CT. sagittal view. the image is 210 mm wide
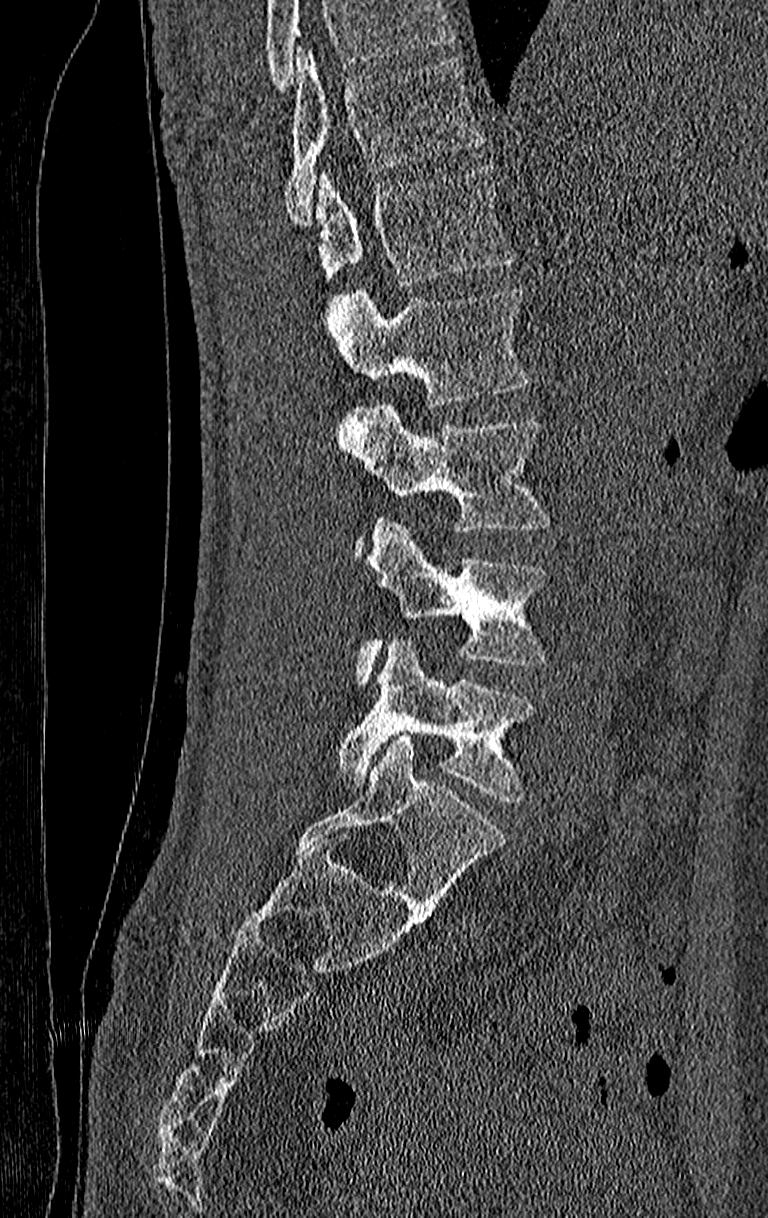

Boxes are (x1, y1, x2, y2) in pixels.
Vertebrae that run past the top of the scan are left unlabeled.
This scan's labels start at T11 at the top and end at L4 at the bottom.
Vertebra bounding boxes:
- L4: (335, 640, 535, 800)
- L3: (357, 517, 546, 684)
- L2: (339, 403, 550, 549)
- L1: (327, 290, 528, 405)
- T12: (317, 166, 513, 285)
- T11: (284, 51, 484, 223)